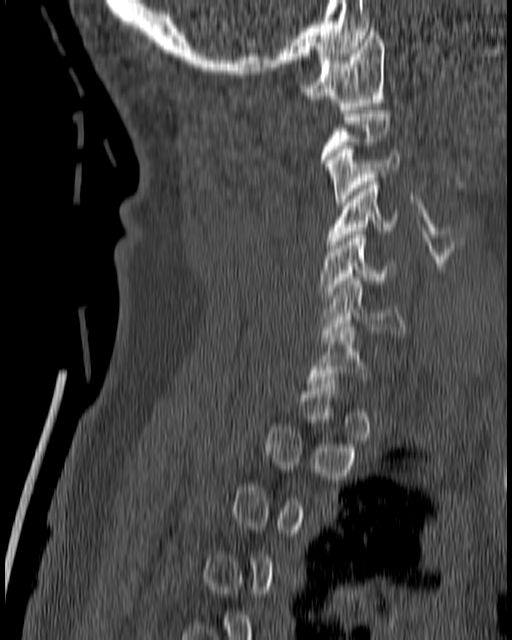

CT spine · the image is 180 mm wide · sagittal reformat
Box edges are left/top/right/bottom in pixels. Each vertebra is boxed only on the slices from the first to the last where its cross-section reaches a third of its largest, so a slice outside that range leaves it unboxed. 6 vertebrae labeled — C1 at left=300, top=28, right=384, bottom=109; C3 at left=325, top=146, right=399, bottom=205; C4 at left=327, top=178, right=398, bottom=248; C5 at left=319, top=231, right=393, bottom=301; C6 at left=321, top=277, right=405, bottom=340; C7 at left=308, top=324, right=367, bottom=387.